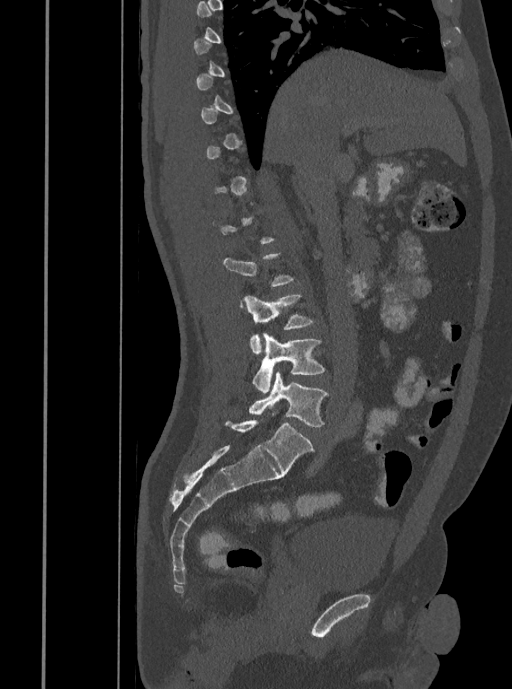 Spine computed tomography; sagittal view
A vertebra is boxed only from the first to the last slice where its cross-section is at least a third of its largest; slices outside that range leave it without a box.
<vertebrae><v name="L3" x1="243" y1="295" x2="313" y2="354"/><v name="L4" x1="253" y1="333" x2="324" y2="393"/><v name="L5" x1="248" y1="372" x2="328" y2="427"/></vertebrae>